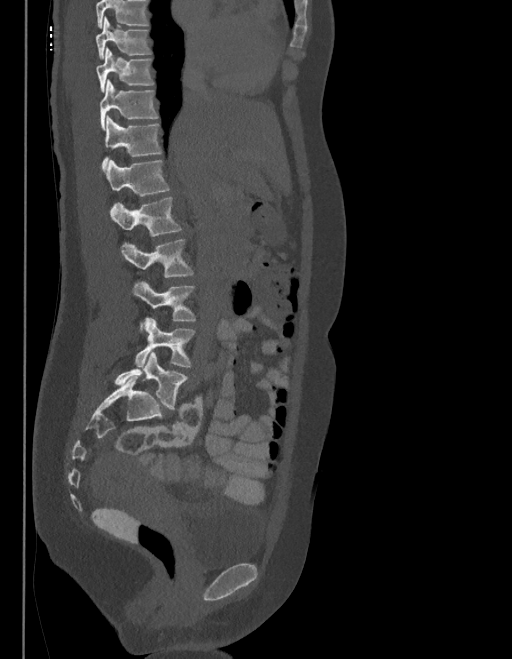
CT, spine. sagittal view
Each vertebra maps to its box as [x1, y1, x2, y2], the pixel coordinates of its top-left and bottom-right corners.
No box is given to a vertebra that the top edge of the scan cuts off.
In these labels the spine has an L6, a sixth lumbar vertebra below L5.
{"vertebrae":{"T9":[95,17,151,60],"T10":[96,48,154,93],"T11":[100,81,158,129],"T12":[102,117,161,169],"L1":[105,161,169,196],"L2":[110,198,182,236],"L3":[121,239,193,277],"L4":[133,281,196,332],"L5":[135,318,195,367],"L6":[114,351,187,408]}}